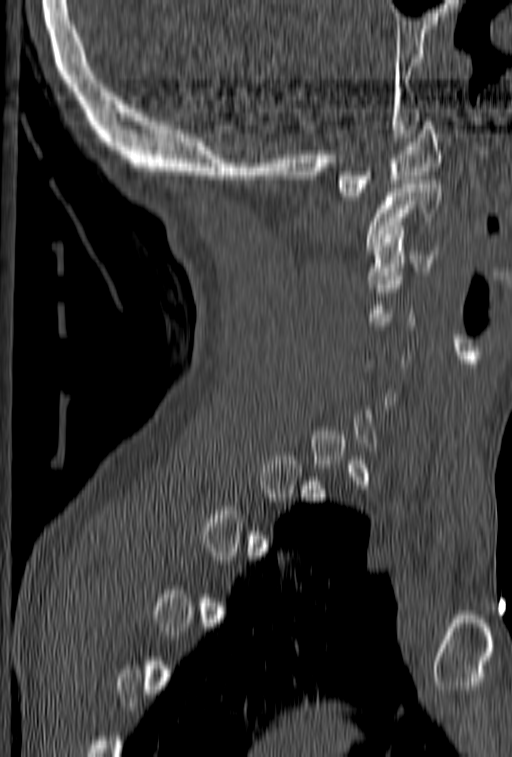 CT, spine; sagittal view; 153 mm image width
Boxes: x1:y1:x2:y2 in pixels.
A vertebra is boxed only from the first to the last slice where its cross-section is at least a third of its largest; slices outside that range leave it without a box.
C3: 366:238:439:283
C2: 366:180:442:250
C1: 336:117:442:196